Computed tomography of the spine; sagittal view; 164x404 px; scan covers 11 annotated vertebrae
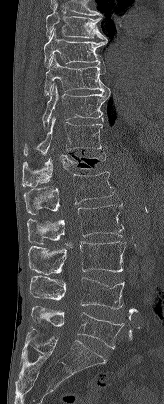
Box edges are left/top/right/bottom in pixels.
Vertebra bounding boxes:
- L5: left=31, top=306, right=124, bottom=348
- L4: left=29, top=276, right=124, bottom=309
- L3: left=28, top=241, right=126, bottom=275
- L2: left=27, top=203, right=123, bottom=244
- L1: left=23, top=171, right=115, bottom=215
- T12: left=22, top=148, right=106, bottom=186
- T11: left=23, top=116, right=106, bottom=156
- T10: left=42, top=83, right=110, bottom=127
- T9: left=44, top=55, right=109, bottom=95
- T8: left=43, top=29, right=107, bottom=68
- T7: left=45, top=4, right=107, bottom=40